CT spine · 140 mm image width · sagittal view
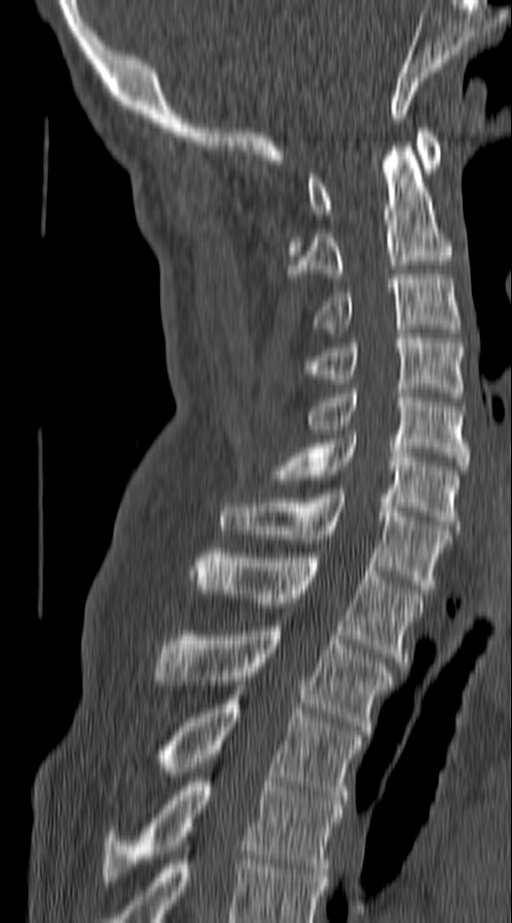

Boxes: x1 y1 x2 y2 (pixel coords, space-separated).
The highest labeled vertebra in this scan is C1; the lowest is T4.
C1: 309 128 439 218
C2: 290 142 450 278
C3: 312 274 461 328
C4: 309 334 465 397
C5: 305 389 468 470
C6: 267 434 461 529
C7: 221 489 450 593
T1: 195 549 425 666
T2: 155 626 395 735
T3: 162 695 362 804
T4: 104 777 344 877